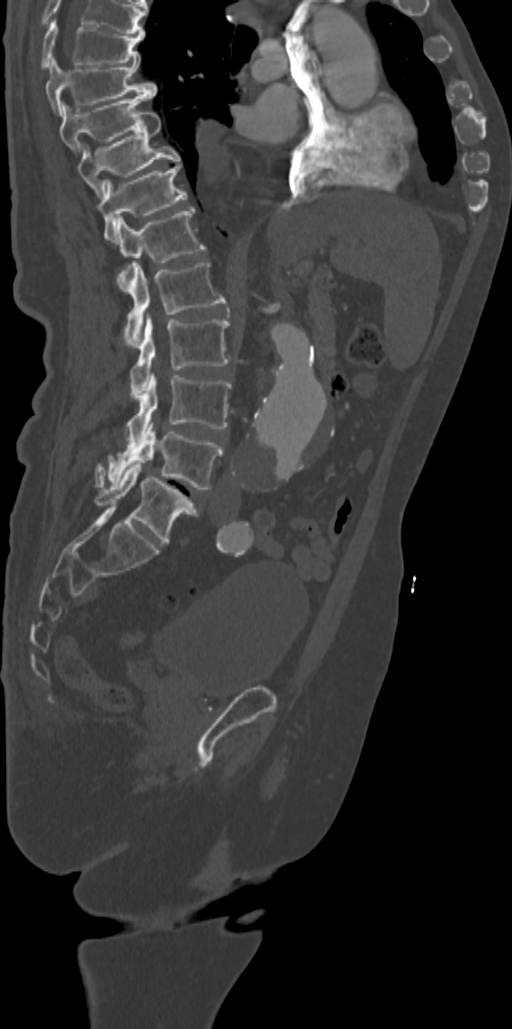
CT, spine; sagittal view; bone-window reconstruction; 342 mm wide; 512x1029 px
Each box given as x1,y1,x2,y2.
Labels in this scan begin with T7 at the top and end with L5 at the bottom.
T7: x1=40, y1=20, x2=144, y2=69
T8: x1=45, y1=58, x2=157, y2=114
T9: x1=60, y1=94, x2=150, y2=154
T10: x1=78, y1=112, x2=181, y2=199
T11: x1=99, y1=164, x2=186, y2=242
T12: x1=117, y1=207, x2=205, y2=291
L1: x1=124, y1=263, x2=226, y2=345
L2: x1=130, y1=317, x2=229, y2=399
L3: x1=127, y1=373, x2=231, y2=448
L4: x1=96, y1=422, x2=223, y2=489
L5: x1=96, y1=463, x2=198, y2=543